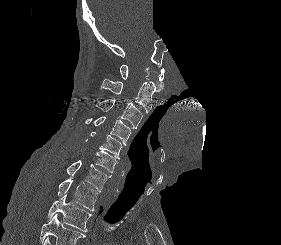 Spine computed tomography · sagittal reformat · a portion of the image is blanked out (constant pixel value). Coordinates as <box>x1,y1,x2,y2</box>.
Where the bottom of the scan cuts through a vertebra, that vertebra gets no label or box.
Vertebra bounding boxes:
- C1: <box>120,65,164,91</box>
- C2: <box>101,78,155,113</box>
- C3: <box>95,98,143,128</box>
- C4: <box>85,116,131,145</box>
- C5: <box>85,132,122,159</box>
- C6: <box>82,149,117,175</box>
- C7: <box>67,160,111,192</box>
- T1: <box>58,178,98,211</box>
- T2: <box>47,194,92,231</box>